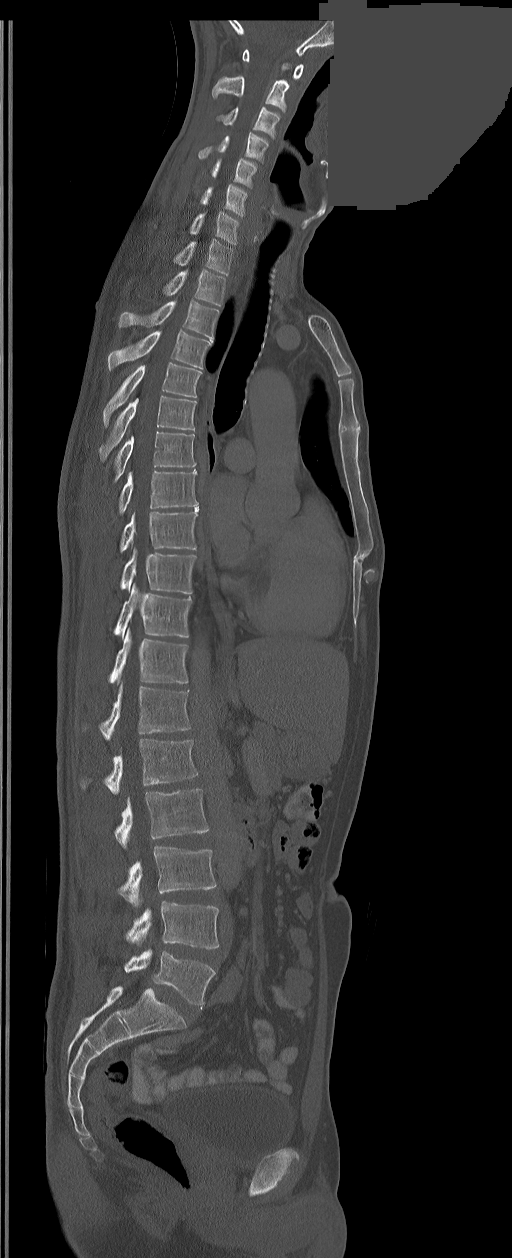
CT spine · sagittal reformat · 350 mm wide · Bone window (WL 400, WW 1800) · 512x1258 px · a region is masked with a constant gray value

The labels name a sixth lumbar vertebra for this spine: L6, after L5.
<vertebrae><v name="C1" x1="242" y1="50" x2="304" y2="78"/><v name="C2" x1="212" y1="76" x2="289" y2="112"/><v name="C3" x1="218" y1="107" x2="279" y2="138"/><v name="C4" x1="199" y1="132" x2="268" y2="160"/><v name="C5" x1="211" y1="158" x2="257" y2="186"/><v name="C6" x1="201" y1="185" x2="246" y2="216"/><v name="C7" x1="190" y1="211" x2="238" y2="244"/><v name="T1" x1="174" y1="239" x2="233" y2="274"/><v name="T2" x1="164" y1="269" x2="225" y2="305"/><v name="T3" x1="119" y1="300" x2="219" y2="339"/><v name="T4" x1="108" y1="329" x2="211" y2="369"/><v name="T5" x1="103" y1="363" x2="201" y2="427"/><v name="T6" x1="100" y1="395" x2="195" y2="460"/><v name="T7" x1="114" y1="432" x2="195" y2="480"/><v name="T8" x1="119" y1="470" x2="198" y2="514"/><v name="T9" x1="120" y1="506" x2="198" y2="552"/><v name="T10" x1="120" y1="549" x2="195" y2="593"/><v name="T11" x1="114" y1="585" x2="191" y2="637"/><v name="T12" x1="108" y1="629" x2="188" y2="684"/><v name="L1" x1="100" y1="683" x2="189" y2="739"/><v name="L2" x1="81" y1="739" x2="197" y2="794"/><v name="L3" x1="114" y1="789" x2="208" y2="848"/><v name="L4" x1="119" y1="846" x2="216" y2="906"/><v name="L5" x1="126" y1="901" x2="219" y2="949"/><v name="L6" x1="125" y1="950" x2="214" y2="1007"/></vertebrae>